CT spine. sagittal view. bone window
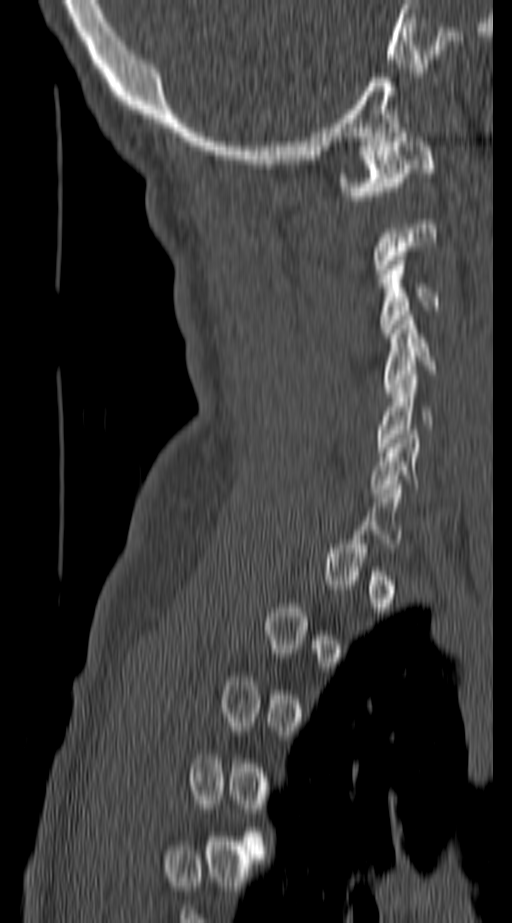

A vertebra is boxed only from the first to the last slice where its cross-section is at least a third of its largest; slices outside that range leave it without a box.
<vertebrae><v name="C1" x1="341" y1="137" x2="436" y2="200"/><v name="C3" x1="382" y1="256" x2="439" y2="337"/><v name="C4" x1="385" y1="315" x2="436" y2="388"/><v name="C5" x1="375" y1="370" x2="434" y2="452"/></vertebrae>